Spine computed tomography · Sagittal slice 300/512 · image 149 mm wide · W/L 1800/400 HU · scan covers 12 annotated vertebrae
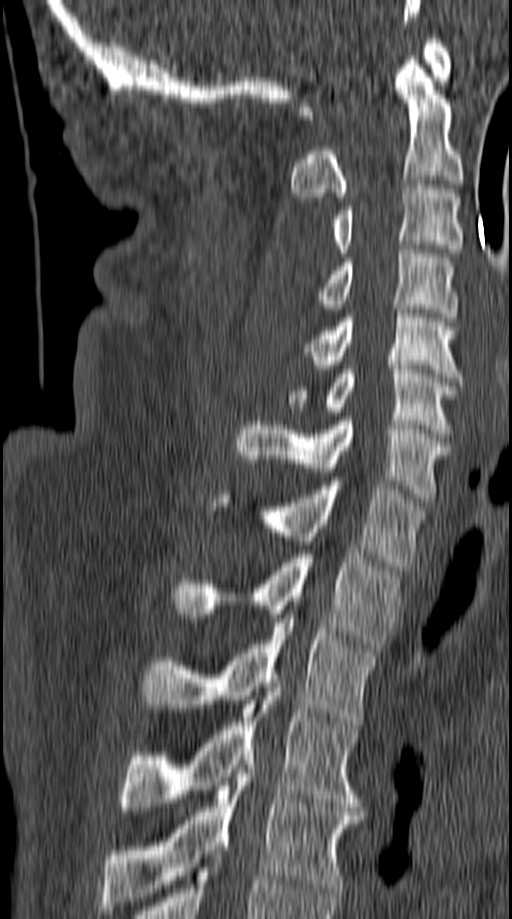

Each box given as x1,y1,x2,y2.
| vertebra | x1 | y1 | x2 | y2 |
|---|---|---|---|---|
| C1 | 297 | 39 | 451 | 119 |
| C2 | 291 | 56 | 464 | 201 |
| C3 | 331 | 185 | 464 | 257 |
| C4 | 316 | 249 | 457 | 317 |
| C5 | 304 | 305 | 464 | 381 |
| C6 | 286 | 365 | 459 | 437 |
| C7 | 235 | 417 | 450 | 502 |
| T1 | 211 | 481 | 426 | 570 |
| T2 | 173 | 554 | 399 | 652 |
| T3 | 142 | 614 | 378 | 725 |
| T4 | 121 | 692 | 361 | 811 |
| T5 | 102 | 760 | 362 | 910 |